Spine CT. Sagittal slice 44/152
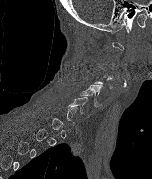 Boxes are given in columns x1, y1, x2, y2, the pixel coordinates of their top-left and bottom-right corners.
Each vertebra is boxed only on the slices from the first to the last where its cross-section reaches a third of its largest, so a slice outside that range leaves it unboxed.
| vertebra | x1 | y1 | x2 | y2 |
|---|---|---|---|---|
| C5 | 79 | 84 | 104 | 106 |
| C6 | 68 | 97 | 89 | 117 |